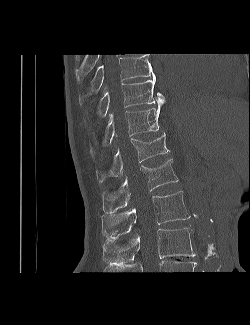

CT · sagittal view · W/L 1800/400 HU · 250x325 px · 250 mm wide

Coordinates as <box>x1,y1,x2,y2</box>. Labels in this scan begin with T9 at the top and end with L3 at the bottom. The labeled vertebrae in this slice are: T9 at <box>79,54,155,106</box>, T10 at <box>97,78,165,117</box>, T11 at <box>90,104,161,155</box>, T12 at <box>96,133,169,183</box>, L1 at <box>102,159,178,213</box>, L2 at <box>102,191,190,237</box>, L3 at <box>103,228,195,265</box>.